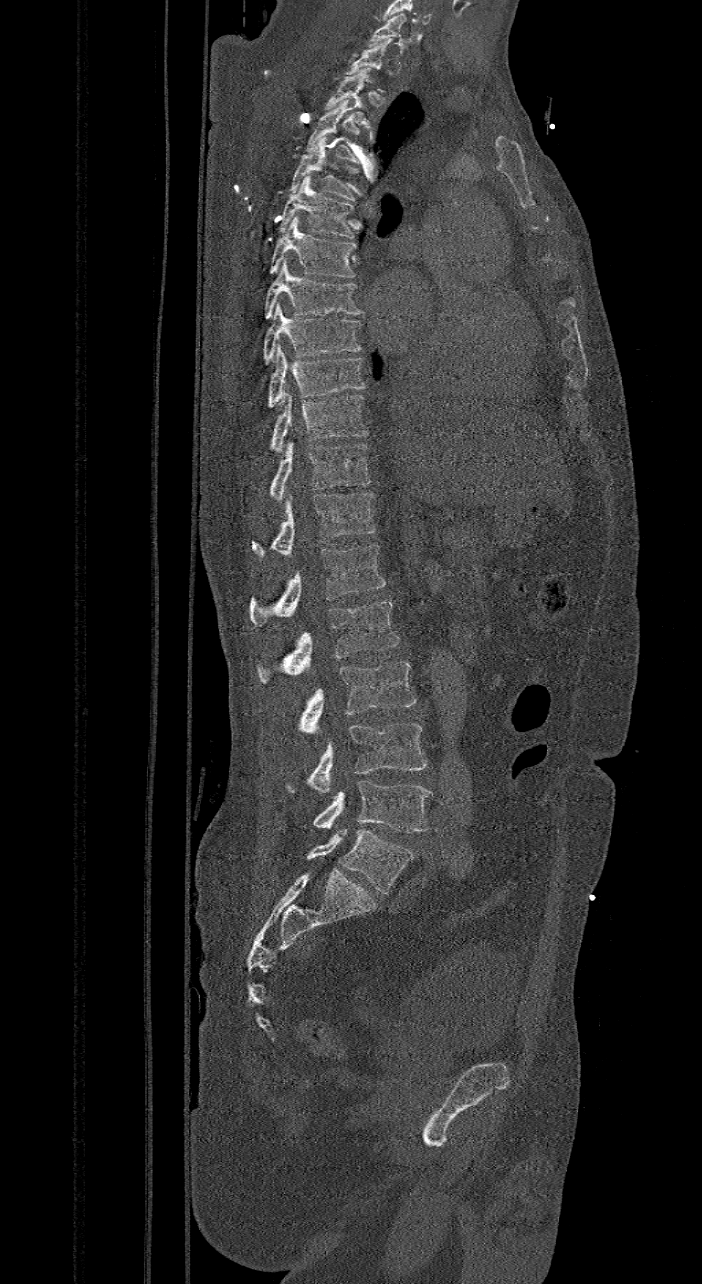 Computed tomography of the spine · sagittal reformat. Boxes: x1:y1:x2:y2 in pixels.
Not every vertebra on this slice has a box: a vertebra is boxed only from the first to the last slice where its cross-section is at least a third of its largest, and this slice is outside that range for at least one of them.
These labels give the spine a sixth lumbar vertebra, L6, below L5.
C7: 367:13:406:47
T2: 325:68:372:125
T3: 307:100:358:163
T4: 288:136:358:200
T5: 278:175:354:238
T6: 267:216:357:277
T7: 263:259:364:319
T8: 263:302:362:364
T9: 266:345:366:407
T10: 241:390:368:462
T11: 270:442:370:500
T12: 252:492:376:557
L1: 248:545:385:627
L2: 256:600:399:683
L3: 299:661:416:733
L4: 285:723:427:792
L5: 314:781:432:832
L6: 307:829:414:893